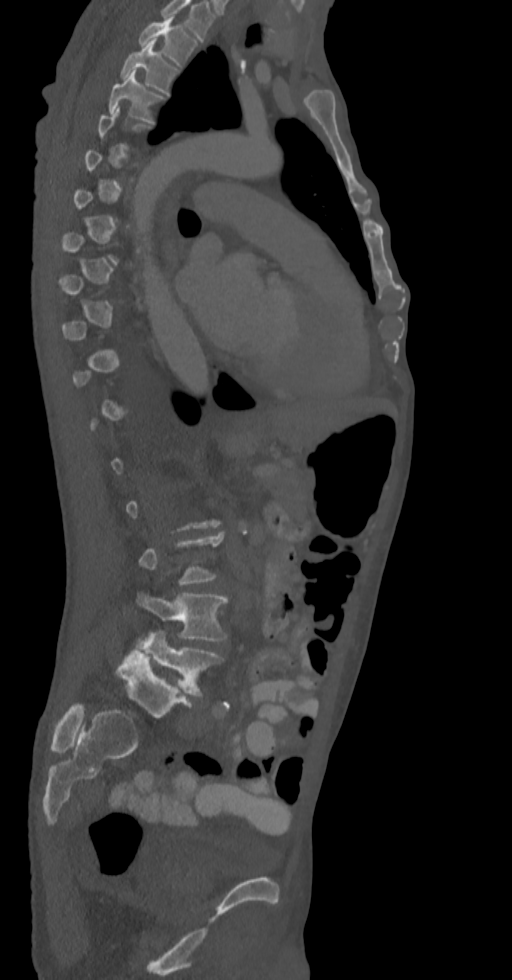
Spine computed tomography. sagittal view. bone window. 336 mm wide

Each row gives a vertebra's box as x1, y1, x2, y2 in pixels: top-left corner, then bottom-right corner.
A vertebra gets a box only on the slices from the first to the last where its cross-section is at least a third of its largest; on a slice outside that range it gets none.
This scan's labels start at T2 at the top and end at L5 at the bottom.
| vertebra | x1 | y1 | x2 | y2 |
|---|---|---|---|---|
| L5 | 137 | 631 | 223 | 695 |
| L4 | 137 | 593 | 227 | 641 |
| T4 | 108 | 72 | 163 | 122 |
| T3 | 120 | 41 | 179 | 95 |
| T2 | 138 | 17 | 196 | 66 |